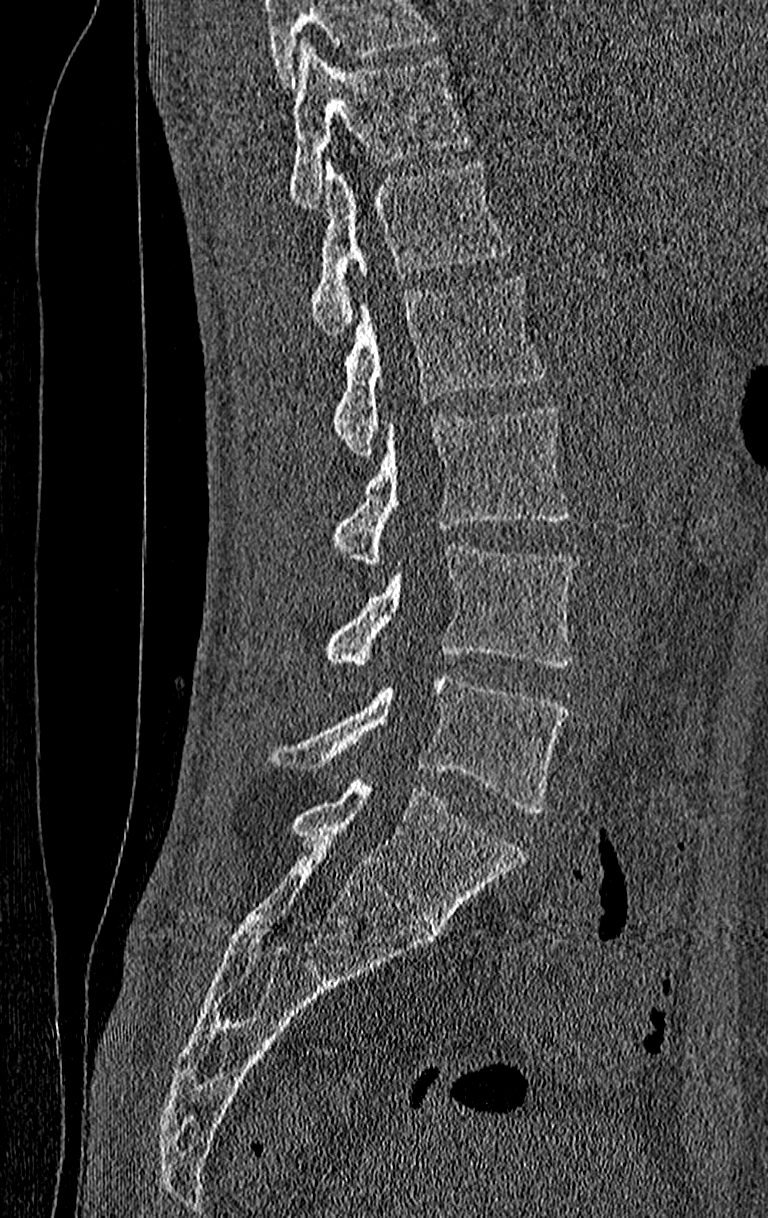

Spine CT. sagittal view. 768x1218 px. Box edges are left/top/right/bottom in pixels. Where the top of the scan cuts through a vertebra, that vertebra gets no label or box. This scan's labels start at T11 at the top and end at L4 at the bottom. The labeled vertebrae in this slice are: L4 at left=273, top=673, right=568, bottom=812, L3 at left=324, top=546, right=575, bottom=666, L2 at left=331, top=406, right=568, bottom=567, L1 at left=331, top=275, right=546, bottom=457, T12 at left=310, top=158, right=510, bottom=333, T11 at left=288, top=41, right=469, bottom=208.